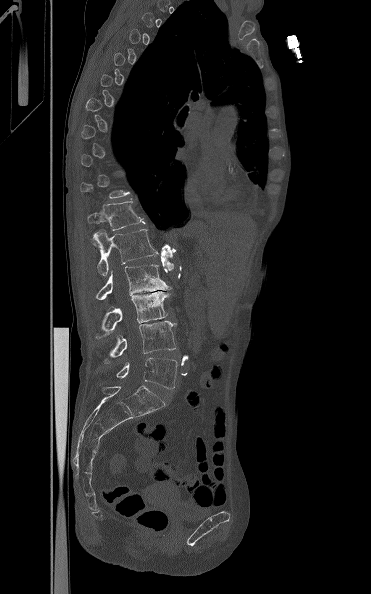

CT, spine · 371 mm wide · sagittal view. Bounding boxes as [x1, y1, x2, y2] in pixel coordinates. A vertebra gets a box only on the slices from the first to the last where its cross-section is at least a third of its largest; on a slice outside that range it gets none. Vertebrae labeled: T12 at [87, 198, 145, 230], L1 at [92, 229, 158, 275], L2 at [95, 264, 170, 300], L3 at [96, 291, 169, 338], L4 at [105, 321, 177, 360], L5 at [116, 357, 177, 389].